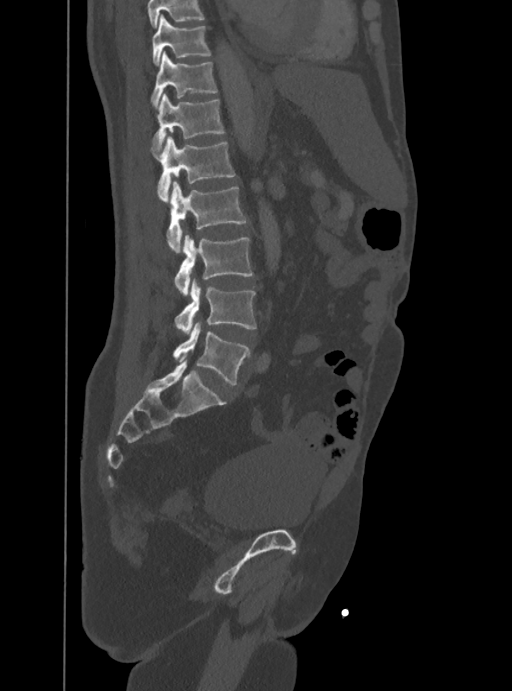
CT spine; sagittal view
Box edges are left/top/right/bottom in pixels.
Where the top of the scan cuts through a vertebra, that vertebra gets no label or box.
| vertebra | x1 | y1 | x2 | y2 |
|---|---|---|---|---|
| T10 | 152 | 14 | 211 | 64 |
| T11 | 150 | 51 | 218 | 107 |
| T12 | 153 | 94 | 224 | 152 |
| L1 | 150 | 135 | 235 | 201 |
| L2 | 166 | 181 | 246 | 252 |
| L3 | 174 | 235 | 252 | 295 |
| L4 | 175 | 281 | 256 | 332 |
| L5 | 173 | 323 | 250 | 384 |